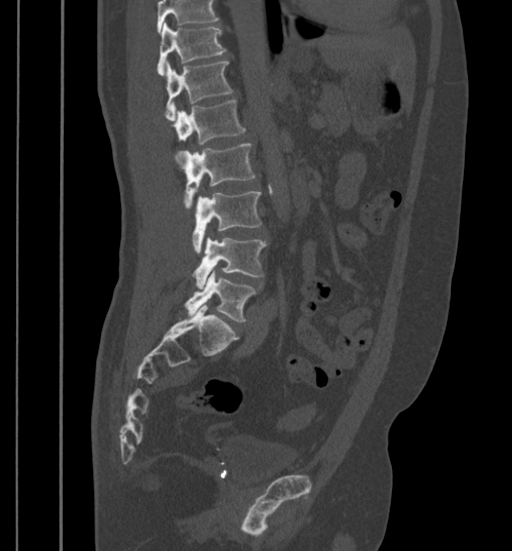

Spine computed tomography; sagittal view; 399 mm wide; W/L 1800/400 HU; 512x551 px

Box values are [left, top, right, bottom] in pixels.
A vertebra cut off by the top edge of the scan is not labeled and has no box.
{"vertebrae":{"T11":[156,23,226,74],"T12":[164,62,232,119],"L1":[172,100,245,166],"L2":[180,144,254,207],"L3":[192,191,261,253],"L4":[194,236,266,287],"L5":[185,269,255,320]}}